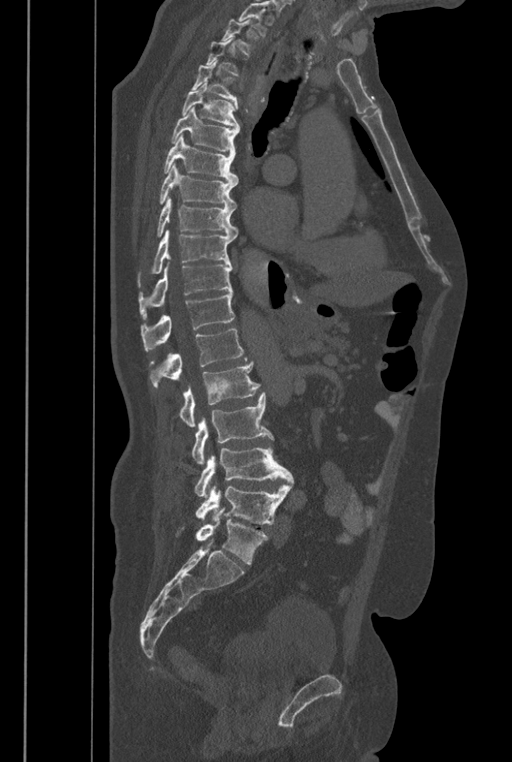
CT, spine — sagittal reformat — 446 mm wide

Each box is [x1, y1, x2, y2] in pixels: top-left corner, then bottom-right corner.
Vertebrae that run past the top of the scan are left unlabeled.
The labels name a sixth lumbar vertebra for this spine: L6, after L5.
{"vertebrae":{"T2":[221,19,254,56],"T3":[205,38,240,75],"T4":[191,60,238,111],"T5":[181,82,240,129],"T6":[171,106,239,153],"T7":[163,134,238,183],"T8":[159,163,238,208],"T9":[157,197,237,238],"T10":[138,229,234,286],"T11":[139,263,232,319],"T12":[141,291,234,351],"L1":[149,329,247,387],"L2":[179,361,260,427],"L3":[192,393,274,464],"L4":[194,446,294,497],"L5":[195,486,290,524],"L6":[195,507,268,564]}}